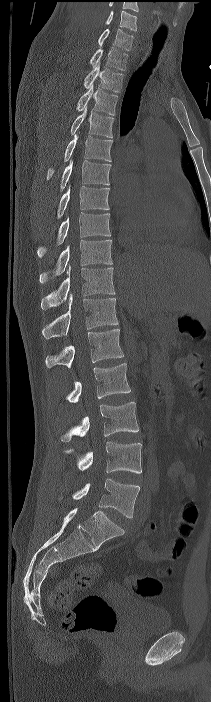
CT spine — sagittal reformat — 211x702 px
Box edges are left/top/right/bottom in pixels. The highest labeled vertebra in this scan is C7; the lowest is L4. The labeled vertebrae in this slice are: L4 at left=72, top=478, right=139, bottom=518, L3 at left=62, top=442, right=141, bottom=473, L2 at left=60, top=402, right=138, bottom=441, L1 at left=66, top=363, right=130, bottom=402, T12 at left=45, top=329, right=123, bottom=368, T11 at left=42, top=293, right=118, bottom=338, T10 at left=41, top=265, right=114, bottom=309, T9 at left=39, top=240, right=112, bottom=283, T8 at left=37, top=212, right=110, bottom=257, T7 at left=57, top=185, right=109, bottom=218, T6 at left=60, top=160, right=111, bottom=191, T5 at left=47, top=134, right=113, bottom=179, T4 at left=71, top=107, right=114, bottom=137, T3 at left=76, top=84, right=117, bottom=115, T2 at left=83, top=62, right=123, bottom=92, T1 at left=89, top=47, right=128, bottom=70, C7 at left=98, top=28, right=133, bottom=50.